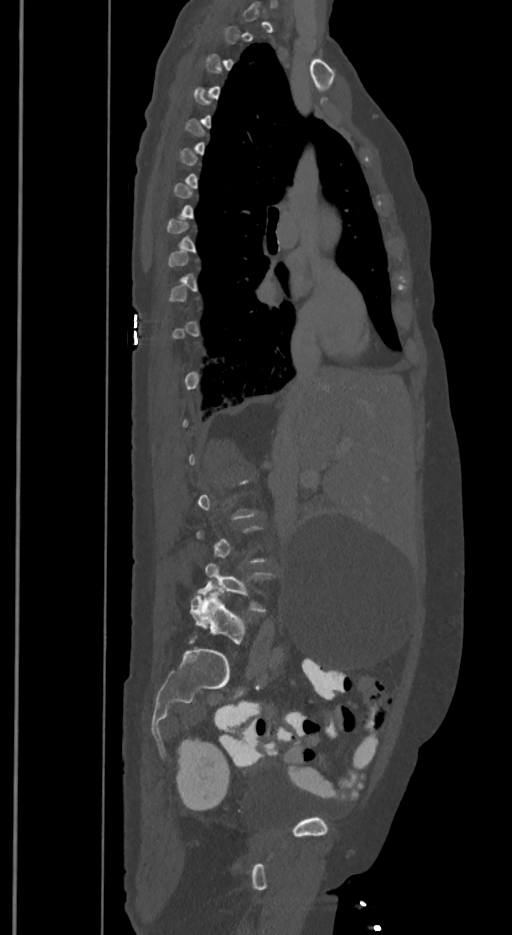
CT, spine; sagittal view; 512x935 px; the image spans 350 mm across

Each box given as x1,y1,x2,y2. Not every vertebra on this slice has a box: a vertebra is boxed only from the first to the last slice where its cross-section is at least a third of its largest, and this slice is outside that range for at least one of them. These labels give the spine a sixth lumbar vertebra, L6, below L5. Vertebrae labeled: L5 at x1=197, y1=563, x2=274, y2=613, L6 at x1=189, y1=587, x2=246, y2=644.